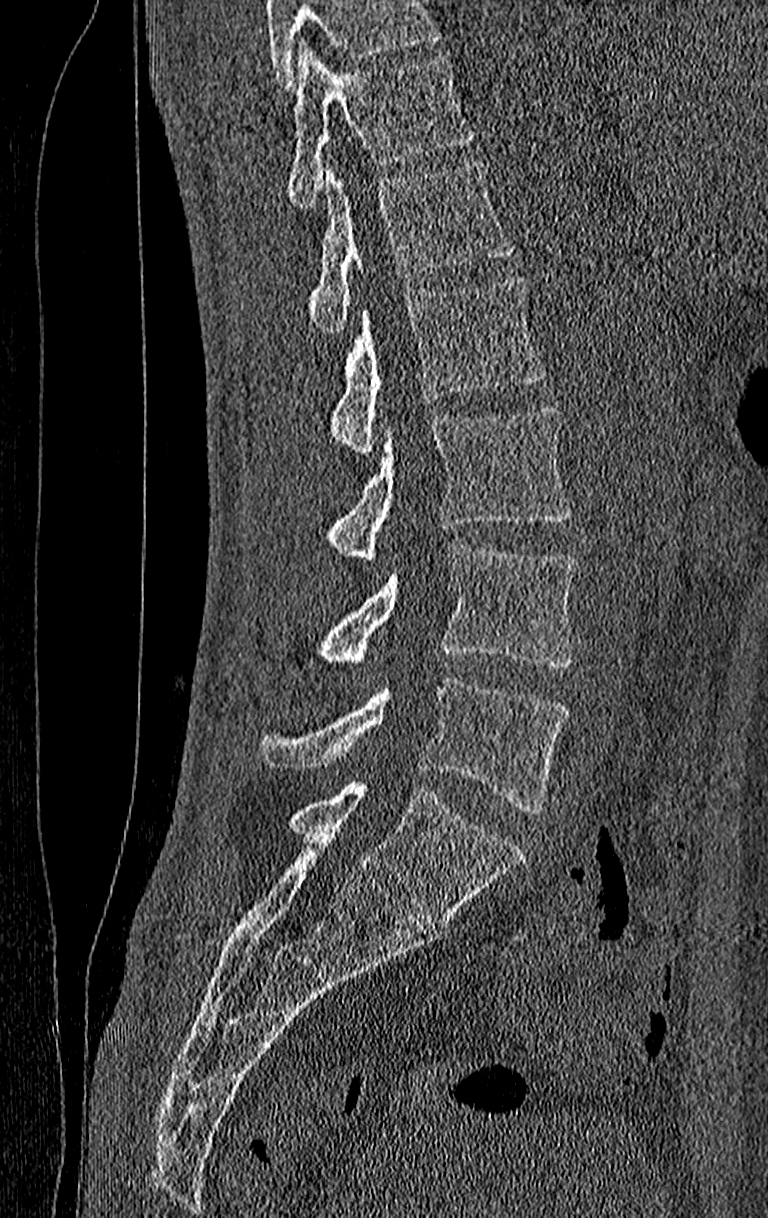 Spine CT · sagittal view
Boxes are (x1, y1, x2, y2) in pixels.
No box is given to a vertebra that the top edge of the scan cuts off.
In this scan, the topmost labeled vertebra is T11 and the lowest is L4.
Vertebra bounding boxes:
- T11: (288, 41, 473, 208)
- T12: (310, 161, 513, 333)
- L1: (331, 275, 546, 453)
- L2: (328, 406, 572, 563)
- L3: (317, 546, 575, 669)
- L4: (258, 678, 568, 812)